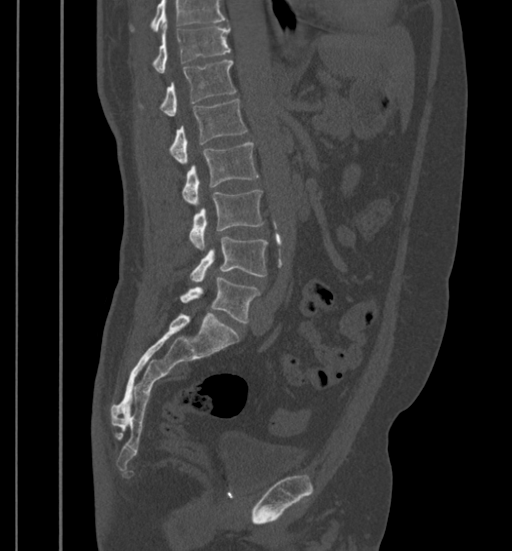

CT spine — sagittal view
Coordinates as <box>x1,y1,x2,y2</box>. A vertebra cut off by the top edge of the scan is not labeled and has no box. The labeled vertebrae in this slice are: L5 at <box>180,277,259,323</box>, L4 at <box>190,237,267,281</box>, L3 at <box>188,190,263,248</box>, L2 at <box>182,142,258,204</box>, L1 at <box>169,99,247,163</box>, T12 at <box>138,60,236,115</box>, T11 at <box>151,27,231,73</box>.